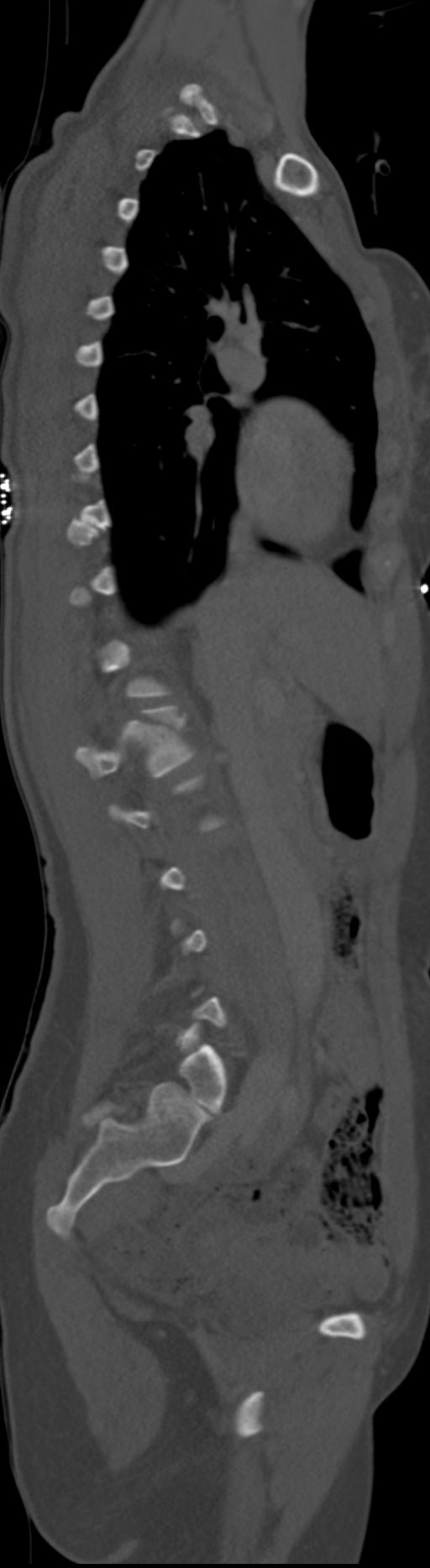
Computed tomography of the spine. sagittal view. 430x1568 px. the image is 192 mm wide

Boxes below are [x1, y1, x2, y2] in pixels.
A vertebra gets a box only on the slices from the first to the last where its cross-section is at least a third of its largest; on a slice outside that range it gets none.
These labels give the spine a sixth lumbar vertebra, L6, below L5.
{"vertebrae":{"L1":[75,706,195,776],"L6":[176,1024,226,1112]}}